Spine computed tomography. image 412 mm wide. Sagittal slice 291/512
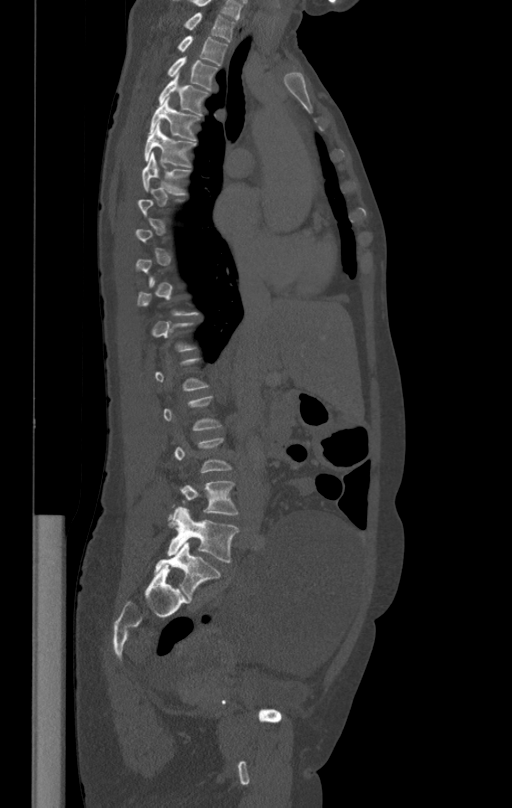

Box values are [left, top, right, bottom] in pixels.
A vertebra is boxed only from the first to the last slice where its cross-section is at least a third of its largest; slices outside that range leave it without a box.
{"vertebrae":{"L5":[167,507,239,562],"L4":[179,481,239,515],"T7":[142,152,190,194],"T6":[144,123,195,167],"T5":[150,97,200,140],"T4":[159,76,209,114],"T3":[168,57,218,90],"T2":[178,36,228,65],"T1":[184,12,235,42]}}